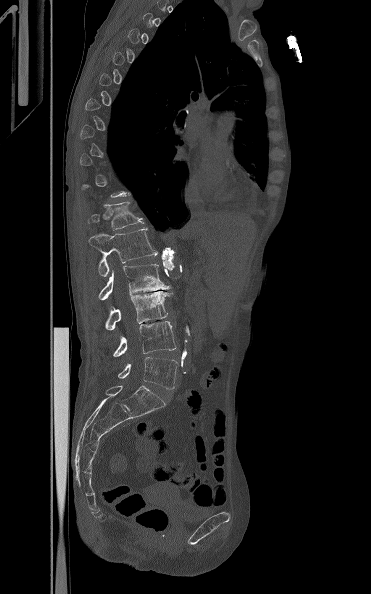

CT spine · 371 mm image width · sagittal view

Each box given as x1,y1,x2,y2.
Not every vertebra on this slice has a box: a vertebra is boxed only from the first to the last slice where its cross-section is at least a third of its largest, and this slice is outside that range for at least one of them.
L5: x1=118, y1=357, x2=177, y2=389
L4: x1=113, y1=321, x2=176, y2=357
L3: x1=105, y1=291, x2=170, y2=330
L2: x1=98, y1=264, x2=169, y2=300
L1: x1=89, y1=228, x2=157, y2=276
T12: x1=88, y1=202, x2=144, y2=230